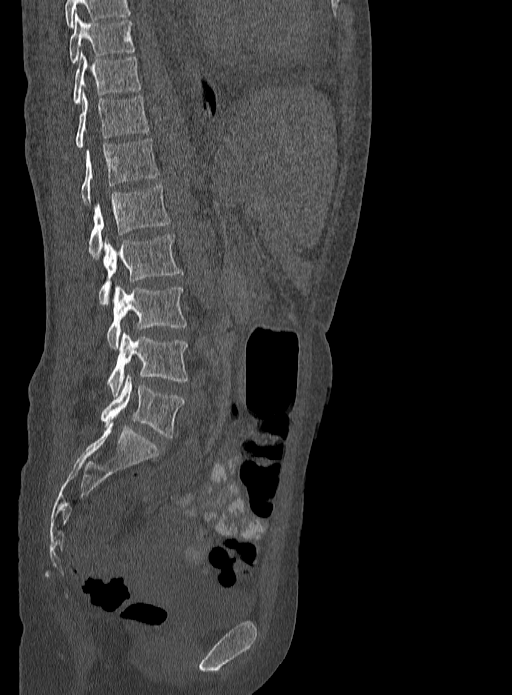

Spine CT · sagittal view. Each box given as x1,y1,x2,y2.
| vertebra | x1 | y1 | x2 | y2 |
|---|---|---|---|---|
| T9 | 69 | 12 | 134 | 62 |
| T10 | 74 | 51 | 140 | 104 |
| T11 | 75 | 92 | 148 | 148 |
| T12 | 81 | 138 | 159 | 203 |
| L1 | 89 | 185 | 169 | 257 |
| L2 | 98 | 234 | 182 | 303 |
| L3 | 107 | 286 | 186 | 350 |
| L4 | 107 | 331 | 186 | 396 |
| L5 | 100 | 375 | 183 | 437 |